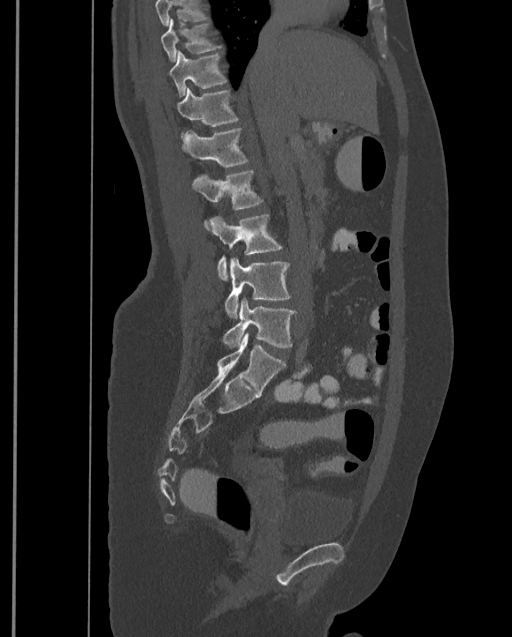 CT spine. sagittal view. 512x637 px
Where the top of the scan cuts through a vertebra, that vertebra gets no label or box.
The highest labeled vertebra in this scan is T9; the lowest is L4.
<vertebrae><v name="T9" x1="160" y1="18" x2="221" y2="63"/><v name="T10" x1="169" y1="51" x2="227" y2="97"/><v name="T11" x1="177" y1="88" x2="239" y2="141"/><v name="T12" x1="182" y1="128" x2="249" y2="166"/><v name="L1" x1="192" y1="171" x2="263" y2="230"/><v name="L2" x1="208" y1="214" x2="282" y2="281"/><v name="L3" x1="224" y1="258" x2="290" y2="319"/><v name="L4" x1="222" y1="298" x2="297" y2="348"/></vertebrae>